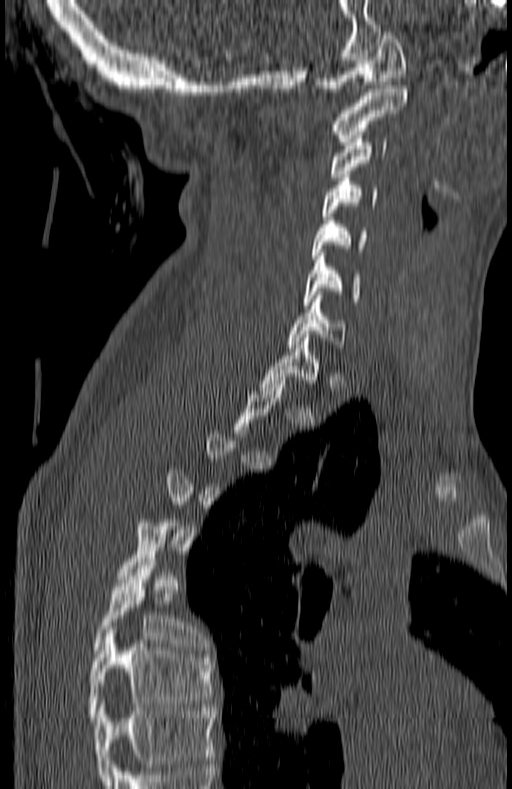
Computed tomography of the spine; sagittal view
Each box given as x1,y1,x2,y2.
Each vertebra is boxed only on the slices from the first to the last where its cross-section reaches a third of its largest, so a slice outside that range leaves it unboxed.
In this scan, the topmost labeled vertebra is C1 and the lowest is T7.
C1: x1=316, y1=28, x2=407, y2=91
C2: x1=334, y1=85, x2=407, y2=141
C3: x1=331, y1=135, x2=387, y2=180
C4: x1=322, y1=174, x2=378, y2=219
C5: x1=311, y1=217, x2=367, y2=259
C6: x1=302, y1=249, x2=361, y2=305
C7: x1=288, y1=299, x2=344, y2=347
T1: x1=262, y1=334, x2=318, y2=387
T6: x1=92, y1=558, x2=204, y2=653
T7: x1=89, y1=626, x2=213, y2=721